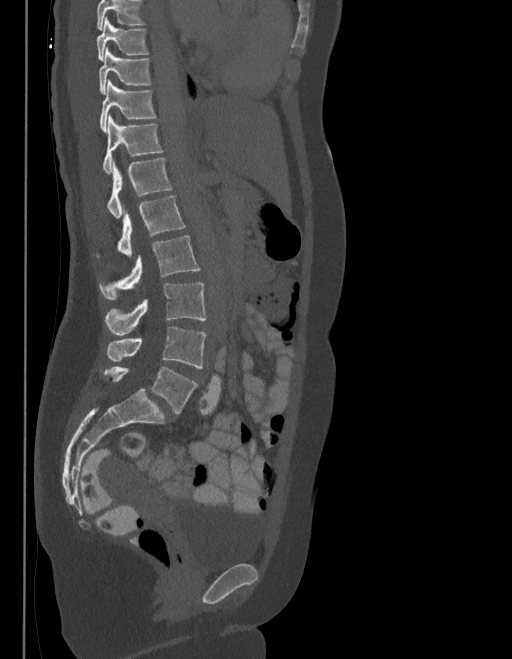

CT spine · the image spans 403 mm across · sagittal reformat · bone-window reconstruction · 512x659 px
Boxes below are [x1, y1, x2, y2] in pixels.
Vertebrae that run past the top of the scan are left unlabeled.
The labels name a sixth lumbar vertebra for this spine: L6, after L5.
{"vertebrae":{"T9":[96,18,149,61],"T10":[99,49,151,94],"T11":[99,81,156,130],"T12":[103,115,163,174],"L1":[107,158,172,217],"L2":[95,196,186,257],"L3":[99,236,200,300],"L4":[105,282,206,335],"L5":[107,327,206,368],"L6":[104,367,197,414]}}